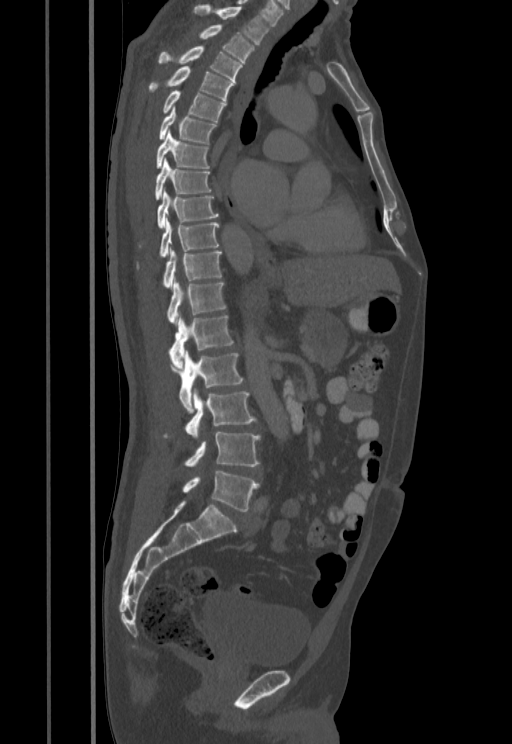 CT, spine — sagittal view — W/L 1800/400 HU

Each box given as x1,y1,x2,y2.
T1: x1=193, y1=6, x2=270, y2=44
T2: x1=200, y1=25, x2=254, y2=62
T3: x1=159, y1=46, x2=242, y2=81
T4: x1=150, y1=66, x2=234, y2=100
T5: x1=163, y1=90, x2=226, y2=121
T6: x1=159, y1=105, x2=216, y2=144
T7: x1=156, y1=129, x2=209, y2=168
T8: x1=155, y1=158, x2=210, y2=200
T9: x1=157, y1=188, x2=218, y2=228
T10: x1=160, y1=217, x2=218, y2=256
T11: x1=163, y1=248, x2=221, y2=289
T12: x1=168, y1=279, x2=225, y2=324
L1: x1=169, y1=314, x2=233, y2=369
L2: x1=170, y1=350, x2=242, y2=413
L3: x1=186, y1=388, x2=255, y2=438
L4: x1=184, y1=432, x2=260, y2=466
L5: x1=182, y1=471, x2=259, y2=511